CT spine · sagittal reformat
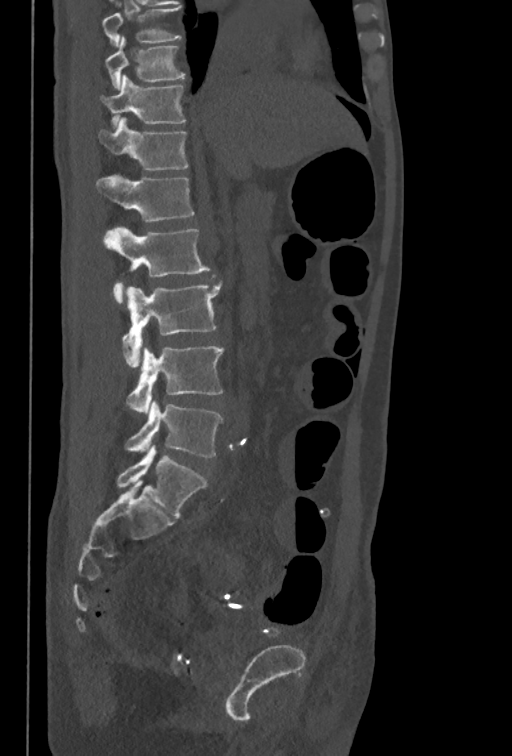
Box edges are left/top/right/bottom in pixels. This scan's labels start at T10 at the top and end at L5 at the bottom. Vertebrae labeled: T10 at left=104, top=37, right=185, bottom=90, T11 at left=101, top=75, right=186, bottom=127, T12 at left=98, top=117, right=187, bottom=170, L1 at left=96, top=174, right=193, bottom=222, L2 at left=104, top=226, right=209, bottom=303, L3 at left=123, top=282, right=222, bottom=366, L4 at left=126, top=346, right=223, bottom=414, L5 at left=125, top=400, right=223, bottom=457.